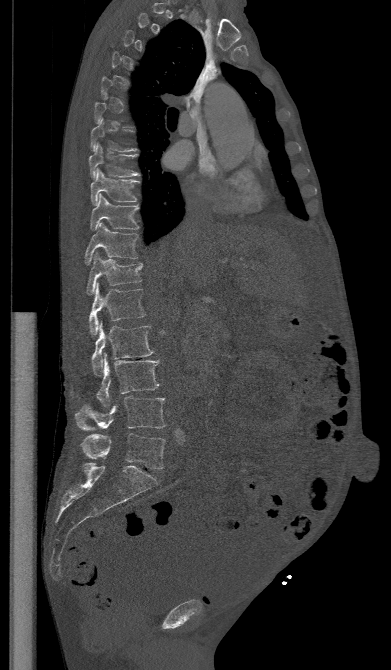

CT spine — image width 391 mm — sagittal view
Each vertebra maps to its box as [x1, y1, x2, y2], the pixel coordinates of its top-left and bottom-right corners.
Not every vertebra on this slice has a box: a vertebra is boxed only from the first to the last slice where its cross-section is at least a third of its largest, and this slice is outside that range for at least one of them.
{"vertebrae":{"T7":[91,119,139,152],"T8":[89,144,141,177],"T9":[90,169,139,205],"T10":[90,194,139,230],"T11":[85,222,138,264],"T12":[87,251,142,295],"L1":[89,283,145,336],"L2":[91,322,153,375],"L3":[72,353,158,408],"L4":[75,396,165,430],"L5":[81,433,165,468]}}